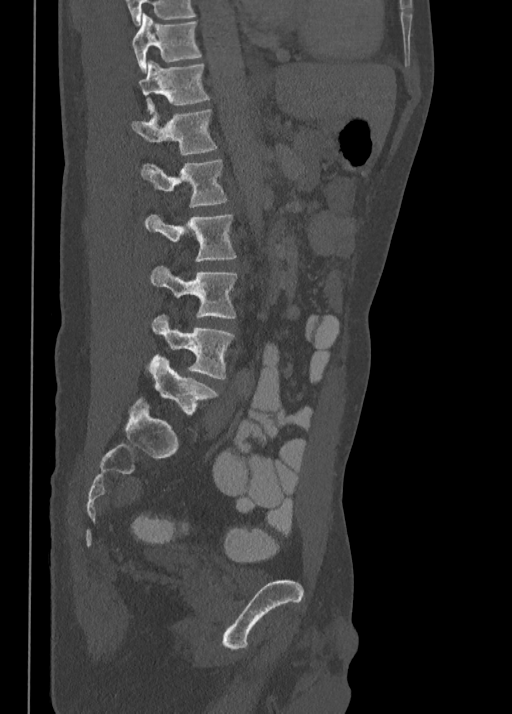
Spine CT; sagittal view; W/L 1800/400 HU
<vertebrae><v name="L5" x1="149" y1="355" x2="218" y2="414"/><v name="L4" x1="152" y1="315" x2="234" y2="379"/><v name="L3" x1="150" y1="266" x2="237" y2="318"/><v name="L2" x1="145" y1="213" x2="236" y2="261"/><v name="L1" x1="140" y1="159" x2="227" y2="207"/><v name="T12" x1="131" y1="109" x2="217" y2="156"/><v name="T11" x1="137" y1="61" x2="209" y2="114"/><v name="T10" x1="131" y1="13" x2="201" y2="71"/></vertebrae>